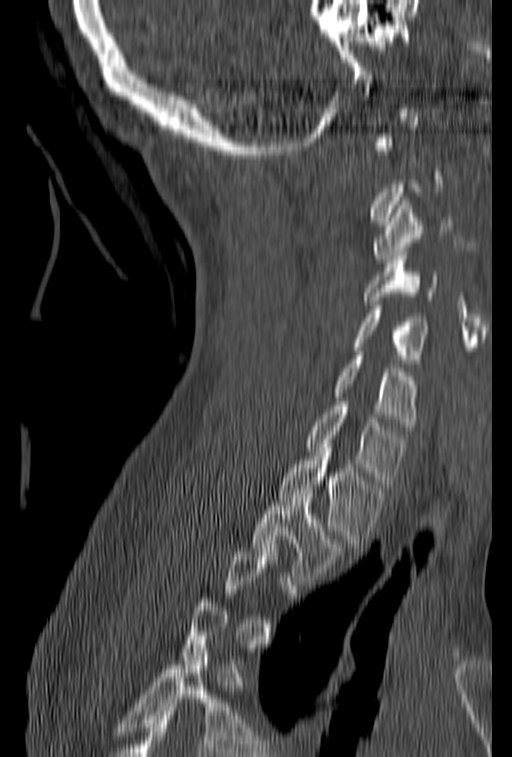 CT. sagittal view. 153 mm across the image. W/L 1800/400 HU. Box edges are left/top/right/bottom in pixels. A vertebra gets a box only on the slices from the first to the last where its cross-section is at least a third of its largest; on a slice outside that range it gets none. The labeled vertebrae in this slice are: C3 at left=373, top=197, right=459, bottom=263, C4 at left=363, top=247, right=439, bottom=304, C5 at left=353, top=301, right=429, bottom=367, C6 at left=332, top=347, right=418, bottom=430, C7 at left=306, top=397, right=408, bottom=488, T1 at left=278, top=452, right=385, bottom=547, T2 at left=252, top=489, right=346, bottom=580.